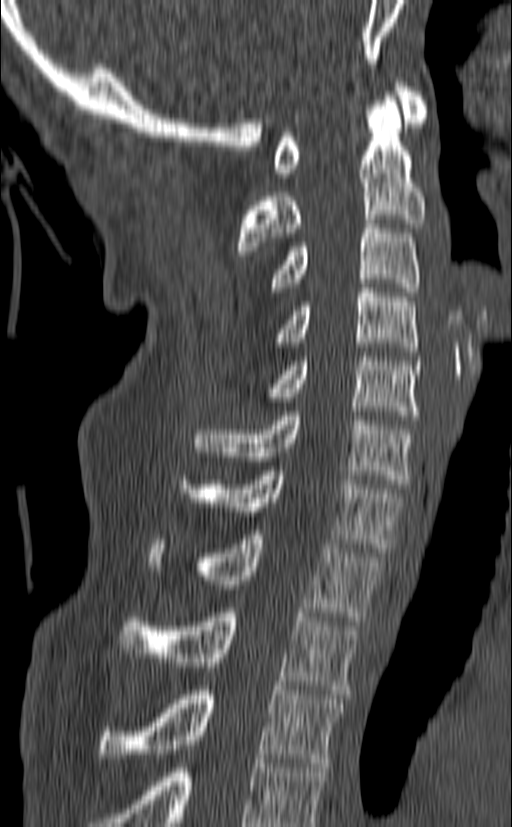

Computed tomography of the spine · sagittal view · 140 mm image width
Each vertebra maps to its box as [x1, y1, x2, y2], the pixel coordinates of its top-left and bottom-right corners.
The highest labeled vertebra in this scan is C1; the lowest is T3.
{"vertebrae":{"T3":[100,686,344,767],"T2":[119,608,359,694],"T1":[148,530,381,621],"C7":[179,466,403,552],"C6":[195,411,414,488],"C5":[266,352,421,420],"C4":[276,283,417,356],"C3":[270,219,419,296],"C2":[238,96,425,255],"C1":[274,78,428,177]}}